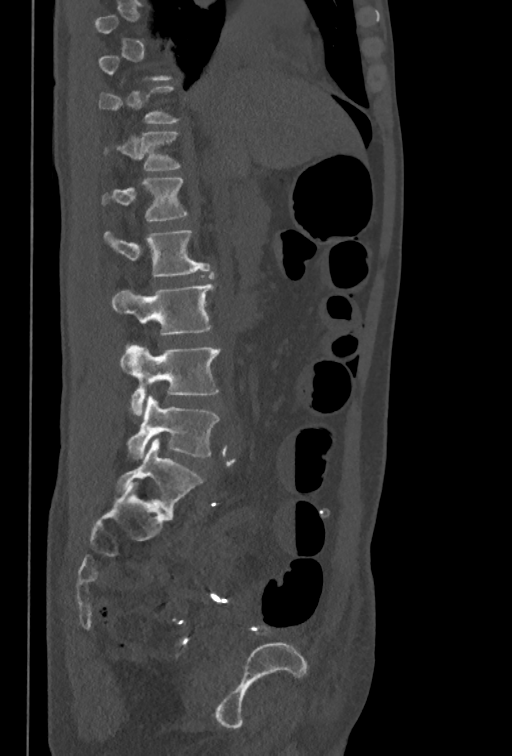
CT spine · sagittal view · 512x756 px
Boxes: x1 y1 x2 y2 (pixel coords, space-separated).
A vertebra is boxed only from the first to the last slice where its cross-section is at least a third of its largest; slices outside that range leave it without a box.
T12: 104 132 180 170
L1: 102 178 187 222
L2: 103 230 209 277
L3: 111 284 214 335
L4: 120 344 220 415
L5: 127 395 220 458